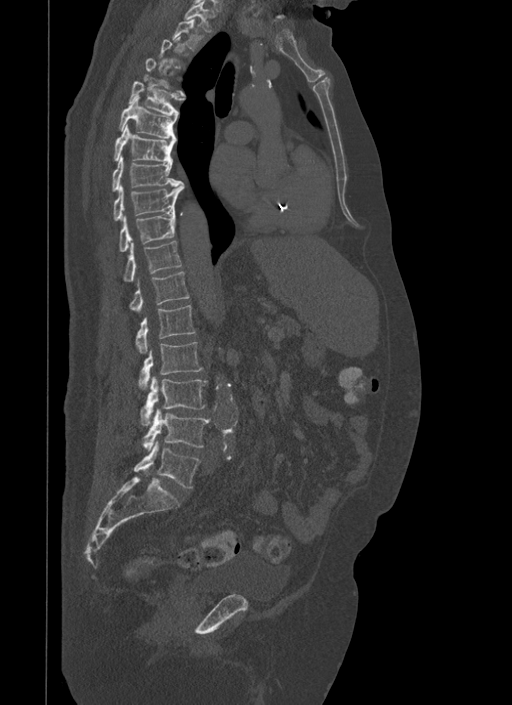

CT spine · image 500 mm wide · sagittal view
In the table, x1 and y1 are a box's top-left corner and x2 and y2 its bottom-right corner, in pixels.
A vertebra gets a box only on the slices from the first to the last where its cross-section is at least a third of its largest; on a slice outside that range it gets none.
| vertebra | x1 | y1 | x2 | y2 |
|---|---|---|---|---|
| T1 | 183 | 0 | 214 | 31 |
| T2 | 172 | 18 | 202 | 49 |
| T5 | 128 | 81 | 185 | 118 |
| T6 | 119 | 96 | 176 | 139 |
| T7 | 113 | 124 | 175 | 162 |
| T8 | 112 | 155 | 181 | 190 |
| T9 | 113 | 182 | 184 | 220 |
| T10 | 119 | 213 | 175 | 251 |
| T11 | 123 | 241 | 182 | 281 |
| T12 | 129 | 271 | 189 | 311 |
| L1 | 136 | 305 | 195 | 353 |
| L2 | 139 | 342 | 202 | 388 |
| L3 | 141 | 376 | 207 | 425 |
| L4 | 143 | 409 | 209 | 451 |
| L5 | 134 | 440 | 200 | 487 |